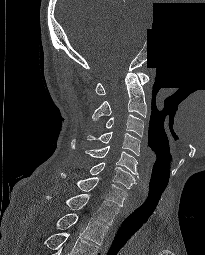
Computed tomography of the spine; sagittal view; bone window; 205 mm across the image; 205x255 px; a region is blanked to uniform black, ending in a straight edge
The highest labeled vertebra in this scan is C1; the lowest is T2.
<vertebrae><v name="C1" x1="95" y1="72" x2="148" y2="94"/><v name="C2" x1="92" y1="72" x2="146" y2="120"/><v name="C3" x1="105" y1="114" x2="143" y2="136"/><v name="C4" x1="87" y1="131" x2="140" y2="155"/><v name="C5" x1="85" y1="146" x2="139" y2="177"/><v name="C6" x1="90" y1="162" x2="136" y2="188"/><v name="C7" x1="61" y1="172" x2="127" y2="206"/><v name="T1" x1="45" y1="194" x2="119" y2="225"/><v name="T2" x1="56" y1="213" x2="108" y2="244"/></vertebrae>